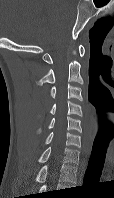
Computed tomography of the spine. sagittal view
Box edges are left/top/right/bottom in pixels. Labels in this scan begin with C1 at the top and end with C7 at the bottom. Vertebrae labeled: C1 at left=42, top=45, right=84, bottom=63, C2 at left=37, top=49, right=83, bottom=85, C3 at left=50, top=83, right=82, bottom=100, C4 at left=49, top=100, right=82, bottom=116, C5 at left=37, top=116, right=81, bottom=132, C6 at left=44, top=132, right=80, bottom=147, C7 at left=38, top=147, right=79, bottom=163.